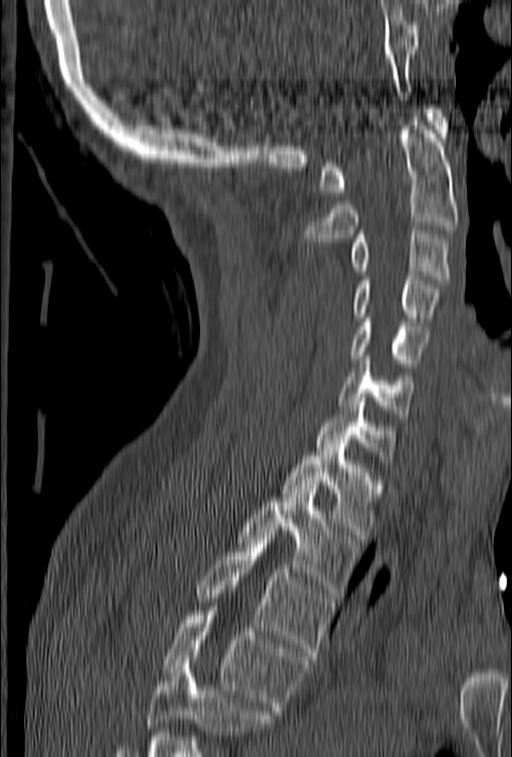
CT — sagittal view — bone window — 512x757 px. Each row gives a vertebra's box as x1, y1, x2, y2 in pixels: top-left corner, then bottom-right corner.
No box is given to a vertebra that the bottom edge of the scan cuts off.
| vertebra | x1 | y1 | x2 | y2 |
|---|---|---|---|---|
| C1 | 319 | 105 | 449 | 196 |
| C2 | 303 | 117 | 458 | 242 |
| C3 | 349 | 230 | 451 | 283 |
| C4 | 353 | 276 | 439 | 321 |
| C5 | 349 | 314 | 429 | 367 |
| C6 | 339 | 356 | 414 | 417 |
| C7 | 316 | 393 | 396 | 463 |
| T1 | 281 | 448 | 382 | 539 |
| T2 | 238 | 489 | 359 | 597 |
| T3 | 196 | 531 | 331 | 660 |
| T4 | 161 | 607 | 308 | 714 |